Spine computed tomography — sagittal view — image 317 mm wide — Bone window (WL 400, WW 1800) — 317x559 px
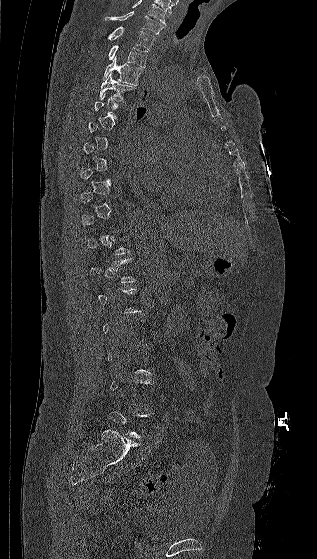 A vertebra gets a box only on the slices from the first to the last where its cross-section is at least a third of its largest; on a slice outside that range it gets none.
Labels in this scan begin with C7 at the top and end with L5 at the bottom.
<vertebrae><v name="T4" x1="100" y1="73" x2="135" y2="103"/><v name="T3" x1="103" y1="56" x2="143" y2="86"/><v name="T2" x1="108" y1="45" x2="148" y2="67"/><v name="T1" x1="108" y1="26" x2="155" y2="49"/><v name="C7" x1="105" y1="11" x2="164" y2="34"/></vertebrae>